CT — Sagittal slice 234/512 — 453x1568 px — a region of this slice is masked with a uniform fill
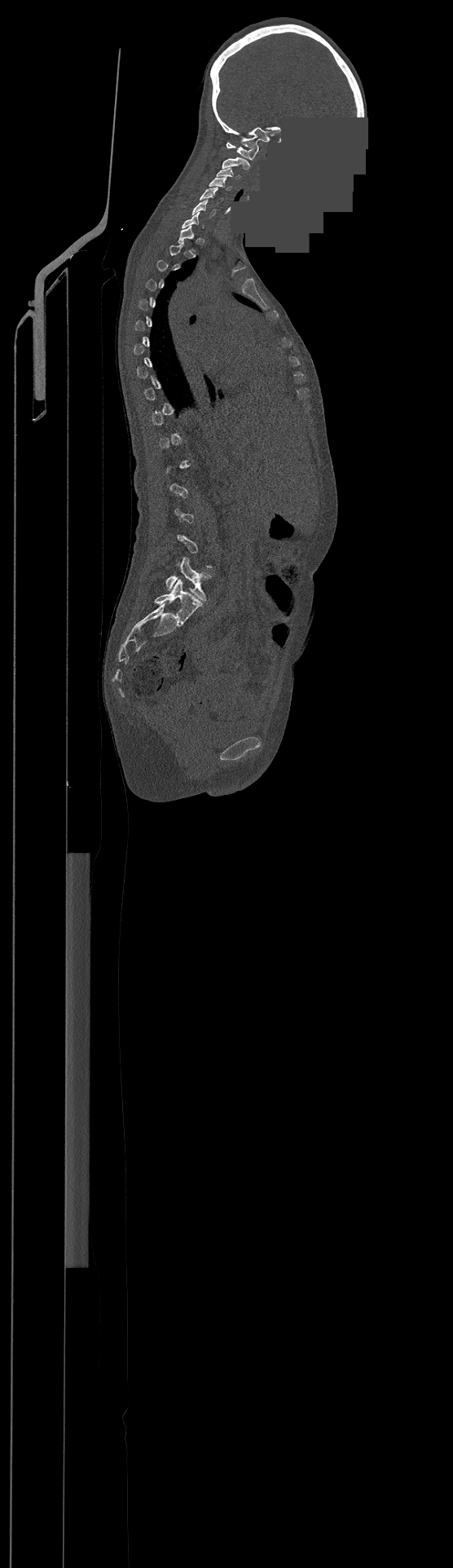 Boxes: x1:y1:x2:y2 in pixels. A vertebra is boxed only from the first to the last slice where its cross-section is at least a third of its largest; slices outside that range leave it without a box. In this scan, the topmost labeled vertebra is C1 and the lowest is L4. 8 vertebrae labeled — C1 at 226:142:258:159; C2 at 222:157:250:170; C3 at 217:168:240:179; C4 at 209:177:230:190; C5 at 200:188:223:203; C6 at 191:199:215:217; T1 at 178:224:196:251; L4 at 165:557:213:600.